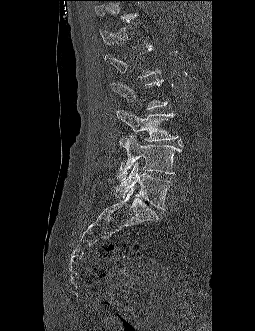
Spine CT — sagittal view — bone window
Boxes: x1:y1:x2:y2 in pixels.
A vertebra gets a box only on the slices from the first to the last where its cross-section is at least a third of its largest; on a slice outside that range it gets none.
Vertebra bounding boxes:
- L2: 108:79:167:109
- L3: 117:109:178:141
- L4: 119:136:181:180
- L5: 116:163:171:209